Computed tomography of the spine; Sagittal slice 259/512; scan covers 11 annotated vertebrae
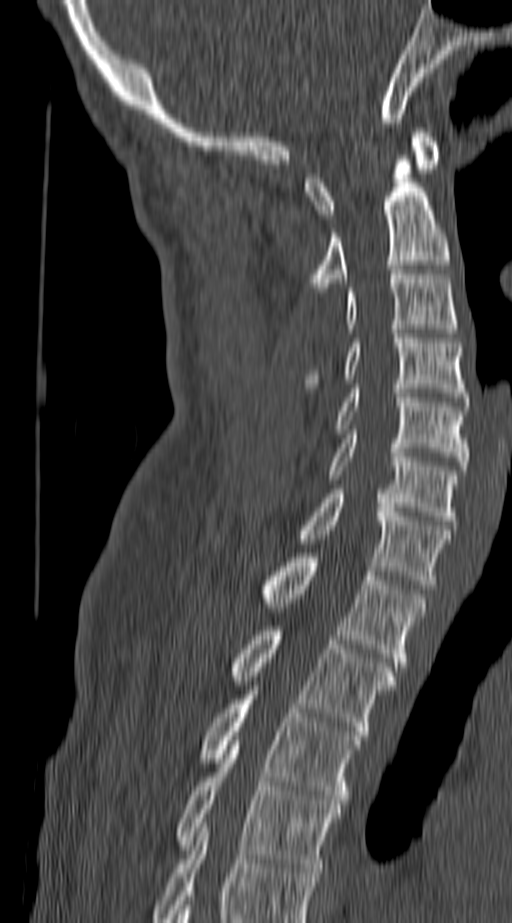
Each box given as x1,y1,x2,y2.
This scan's labels start at C1 at the top and end at T4 at the bottom.
C1: x1=305, y1=128, x2=439, y2=218
C2: x1=309, y1=155, x2=450, y2=292
C3: x1=345, y1=274, x2=457, y2=333
C4: x1=305, y1=334, x2=468, y2=401
C5: x1=334, y1=384, x2=468, y2=470
C6: x1=327, y1=434, x2=457, y2=525
C7: x1=298, y1=489, x2=450, y2=589
T1: x1=261, y1=553, x2=425, y2=666
T2: x1=228, y1=626, x2=395, y2=735
T3: x1=199, y1=695, x2=359, y2=804
T4: x1=177, y1=741, x2=340, y2=872